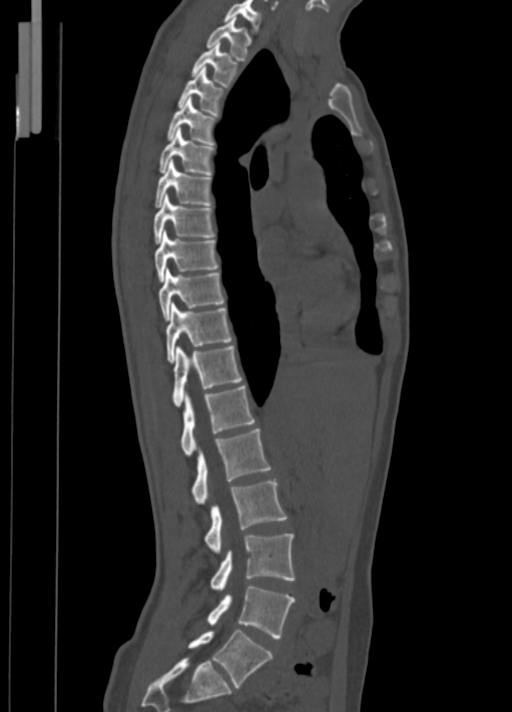
Spine CT — sagittal view — image width 350 mm — 512x712 px. Each row gives a vertebra's box as x1, y1, x2, y2 in pixels: top-left corner, then bottom-right corner.
| vertebra | x1 | y1 | x2 | y2 |
|---|---|---|---|---|
| C7 | 224 | 0 | 261 | 27 |
| T1 | 206 | 16 | 250 | 60 |
| T2 | 191 | 42 | 237 | 87 |
| T3 | 178 | 67 | 223 | 115 |
| T4 | 168 | 97 | 214 | 144 |
| T5 | 159 | 129 | 212 | 175 |
| T6 | 155 | 159 | 211 | 207 |
| T7 | 153 | 195 | 214 | 243 |
| T8 | 155 | 231 | 218 | 281 |
| T9 | 159 | 268 | 224 | 319 |
| T10 | 165 | 303 | 231 | 362 |
| T11 | 172 | 345 | 242 | 406 |
| T12 | 181 | 385 | 255 | 455 |
| L1 | 191 | 429 | 271 | 504 |
| L2 | 205 | 480 | 287 | 553 |
| L3 | 210 | 534 | 294 | 590 |
| L4 | 207 | 585 | 294 | 638 |
| L5 | 188 | 629 | 272 | 687 |